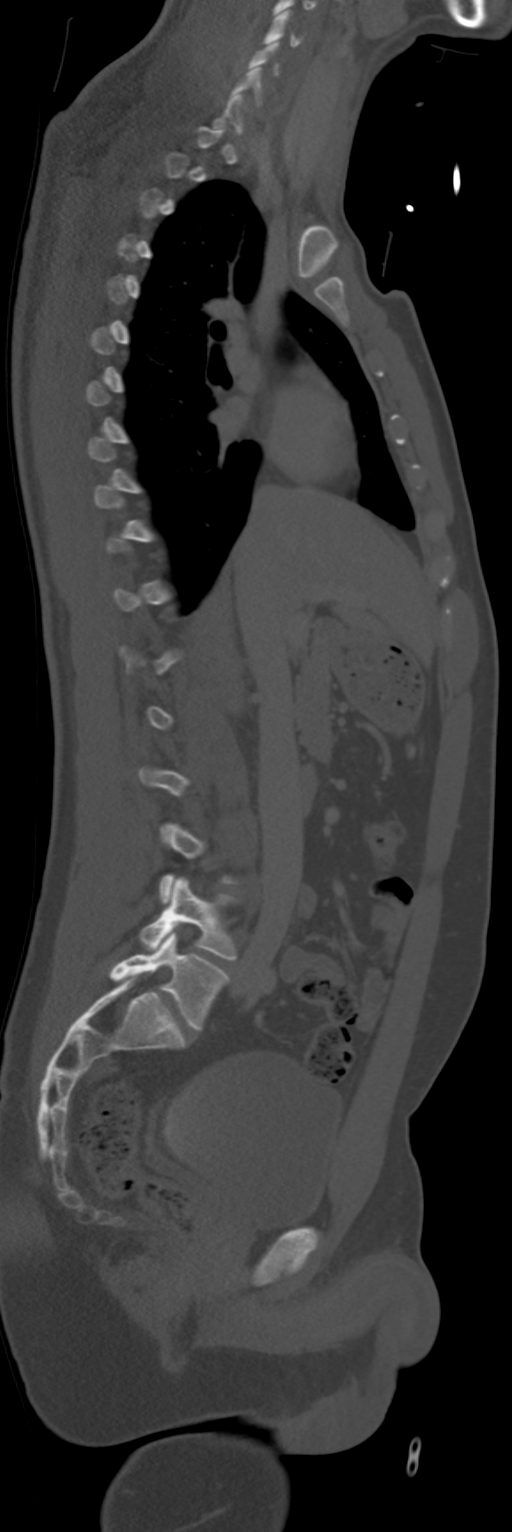

CT, spine. sagittal view. image 268 mm wide. Bone window (WL 400, WW 1800). 512x1532 px
Each row gives a vertebra's box as x1, y1, x2, y2 in pixels: top-left corner, then bottom-right corner.
Each vertebra is boxed only on the slices from the first to the last where its cross-section reaches a third of its largest, so a slice outside that range leaves it unboxed.
| vertebra | x1 | y1 | x2 | y2 |
|---|---|---|---|---|
| L5 | 109 | 933 | 229 | 1029 |
| L4 | 140 | 877 | 237 | 960 |
| C5 | 248 | 42 | 279 | 76 |
| C4 | 264 | 10 | 301 | 45 |